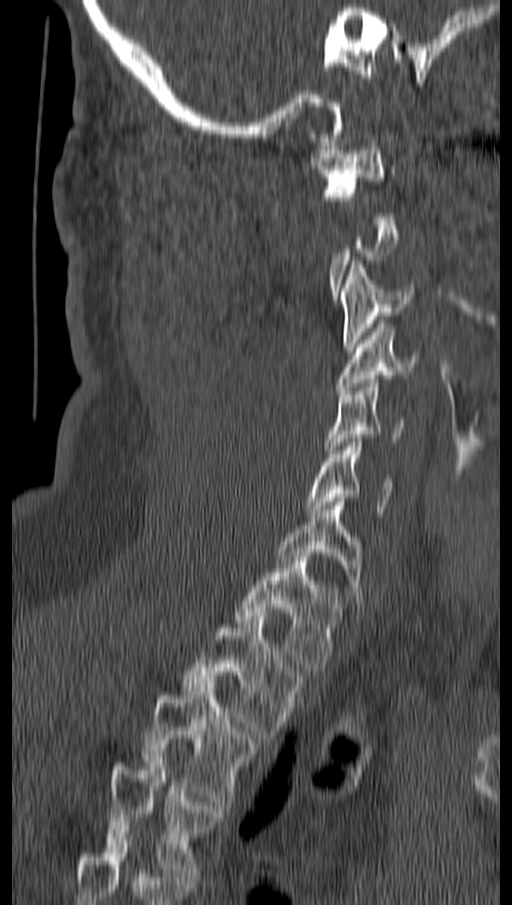 CT, spine. 162 mm across the image. sagittal view
Box edges are left/top/right/bottom in pixels.
A vertebra is boxed only from the first to the last slice where its cross-section is at least a third of its largest; slices outside that range leave it without a box.
Vertebra bounding boxes:
- C1: left=311, top=142, right=393, bottom=200
- C3: left=339, top=261, right=412, bottom=351
- C4: left=336, top=324, right=419, bottom=394
- C5: left=327, top=379, right=405, bottom=453
- C6: left=304, top=439, right=396, bottom=513
- C7: left=279, top=502, right=360, bottom=603
- T1: left=235, top=557, right=341, bottom=671
- T2: left=184, top=616, right=300, bottom=738
- T3: left=143, top=683, right=253, bottom=805
- T4: left=105, top=759, right=221, bottom=876